CT, spine. sagittal reformat. W/L 1800/400 HU. 250x372 px
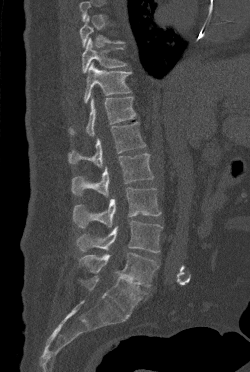

Each row gives a vertebra's box as x1, y1, x2, y2 in pixels: top-left corner, then bottom-right corner.
A vertebra gets a box only on the slices from the first to the last where its cross-section is at least a third of its largest; on a slice outside that range it gets none.
| vertebra | x1 | y1 | x2 | y2 |
|---|---|---|---|---|
| L5 | 79 | 252 | 158 | 287 |
| L4 | 76 | 220 | 162 | 252 |
| L3 | 73 | 187 | 161 | 228 |
| L2 | 71 | 153 | 153 | 197 |
| L1 | 68 | 121 | 146 | 167 |
| T12 | 69 | 97 | 136 | 136 |
| T11 | 84 | 62 | 131 | 103 |
| T10 | 82 | 38 | 126 | 73 |